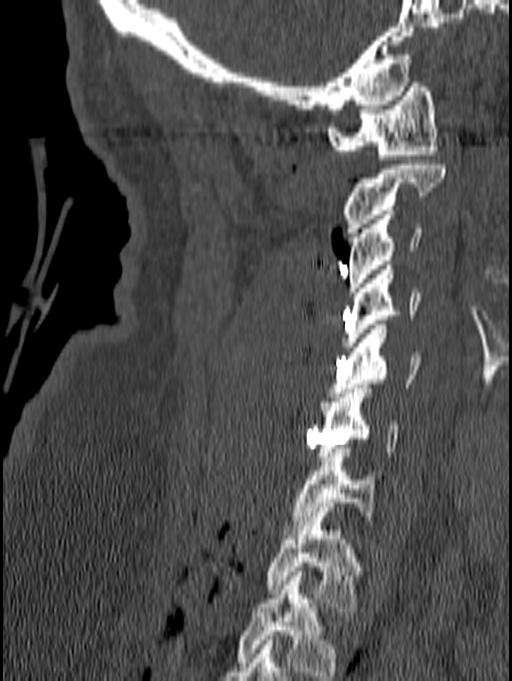 Spine CT. sagittal view. bone-window reconstruction. Each row gives a vertebra's box as x1, y1, x2, y2 in pixels: top-left corner, then bottom-right corner.
In this scan, the topmost labeled vertebra is C1 and the lowest is T1.
| vertebra | x1 | y1 | x2 | y2 |
|---|---|---|---|---|
| C1 | 326 | 78 | 438 | 159 |
| C2 | 341 | 160 | 446 | 237 |
| C3 | 348 | 210 | 421 | 296 |
| C4 | 341 | 265 | 420 | 351 |
| C5 | 329 | 325 | 422 | 397 |
| C6 | 316 | 384 | 399 | 461 |
| C7 | 283 | 443 | 377 | 534 |
| T1 | 265 | 517 | 362 | 612 |